CT spine — the image is 377 mm wide — sagittal view
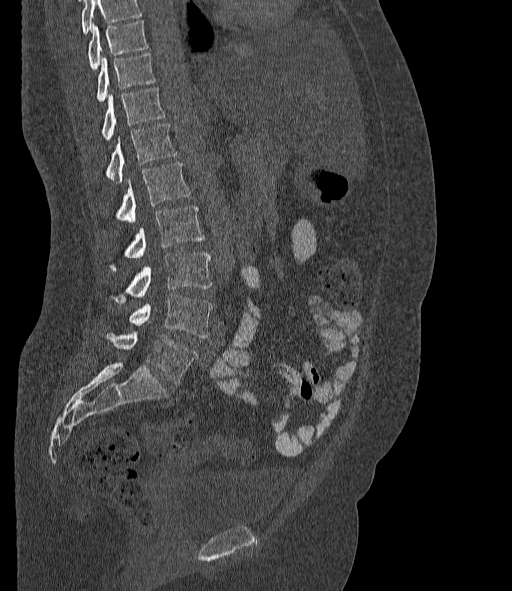

Boxes are (x1, y1, x2, y2) in pixels.
A vertebra cut off by the top edge of the scan is not labeled and has no box.
In these labels the spine has an L6, a sixth lumbar vertebra below L5.
Vertebra bounding boxes:
- T10: (88, 20, 148, 70)
- T11: (96, 53, 155, 102)
- T12: (102, 87, 165, 140)
- L1: (104, 124, 177, 182)
- L2: (103, 162, 190, 231)
- L3: (108, 206, 204, 271)
- L4: (110, 253, 211, 303)
- L5: (129, 293, 212, 337)
- L6: (103, 331, 198, 383)